CT, spine; sagittal reformat; the image spans 385 mm across; 16 vertebrae labeled in this scan
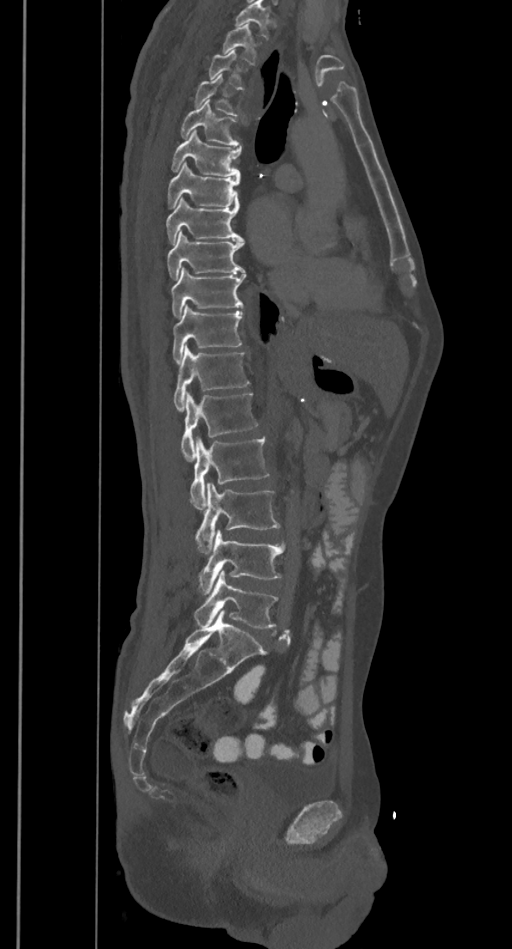

A vertebra gets a box only on the slices from the first to the last where its cross-section is at least a third of its largest; on a slice outside that range it gets none.
No box is given to a vertebra that the top edge of the scan cuts off.
<vertebrae><v name="T2" x1="223" y1="24" x2="255" y2="64"/><v name="T4" x1="195" y1="74" x2="235" y2="115"/><v name="T5" x1="181" y1="99" x2="240" y2="146"/><v name="T6" x1="171" y1="132" x2="241" y2="177"/><v name="T7" x1="167" y1="162" x2="240" y2="207"/><v name="T8" x1="166" y1="197" x2="244" y2="243"/><v name="T9" x1="167" y1="231" x2="244" y2="279"/><v name="T10" x1="171" y1="267" x2="246" y2="317"/><v name="T11" x1="173" y1="305" x2="242" y2="363"/><v name="T12" x1="174" y1="346" x2="249" y2="411"/><v name="L1" x1="181" y1="391" x2="257" y2="460"/><v name="L2" x1="190" y1="436" x2="269" y2="509"/><v name="L3" x1="195" y1="482" x2="279" y2="553"/><v name="L4" x1="199" y1="529" x2="285" y2="594"/><v name="L5" x1="194" y1="570" x2="277" y2="627"/></vertebrae>